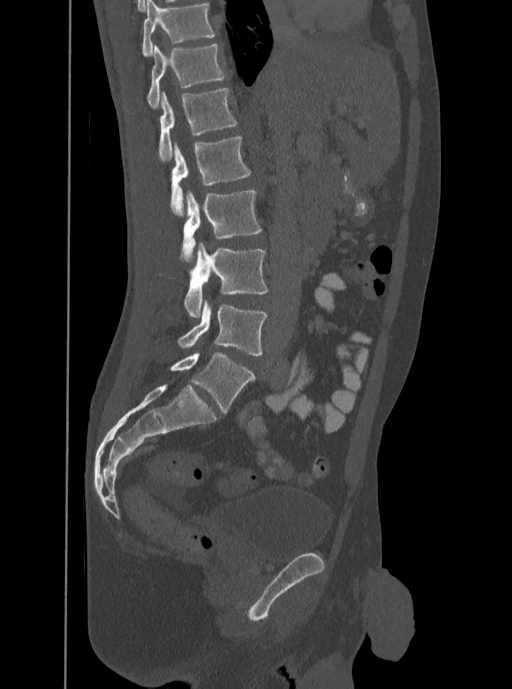

Spine CT — sagittal view
This scan's labels start at T12 at the top and end at L5 at the bottom.
<vertebrae><v name="T12" x1="147" y1="43" x2="226" y2="108"/><v name="L1" x1="158" y1="87" x2="237" y2="162"/><v name="L2" x1="171" y1="136" x2="250" y2="216"/><v name="L3" x1="181" y1="190" x2="262" y2="262"/><v name="L4" x1="184" y1="242" x2="268" y2="318"/><v name="L5" x1="177" y1="301" x2="266" y2="356"/></vertebrae>